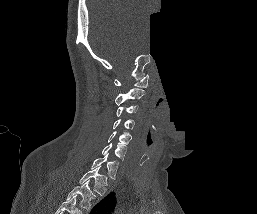

Computed tomography of the spine · sagittal view · Bone window (WL 400, WW 1800) · part of the image is constant black where the scan was masked
Boxes are (x1, y1, x2, y2) in pixels.
Labels in this scan begin with C1 at the top and end with T1 at the bottom.
C1: (114, 74, 148, 88)
C2: (114, 88, 144, 105)
C3: (116, 105, 138, 117)
C4: (112, 119, 135, 129)
C5: (108, 131, 132, 144)
C6: (102, 142, 126, 160)
C7: (91, 153, 118, 179)
T1: (79, 166, 107, 197)